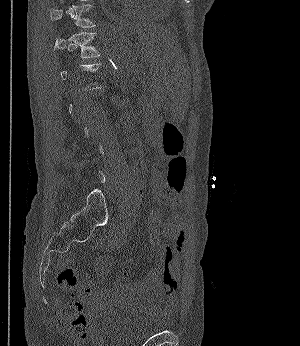

CT spine; the image is 300 mm wide; sagittal view
Bounding boxes as [x1, y1, x2, y2] in pixel coordinates. A vertebra gets a box only on the slices from the first to the last where its cross-section is at least a third of its largest; on a slice outside that range it gets none. 2 vertebrae labeled — T11 at [50, 4, 94, 27]; T12 at [54, 32, 99, 59].